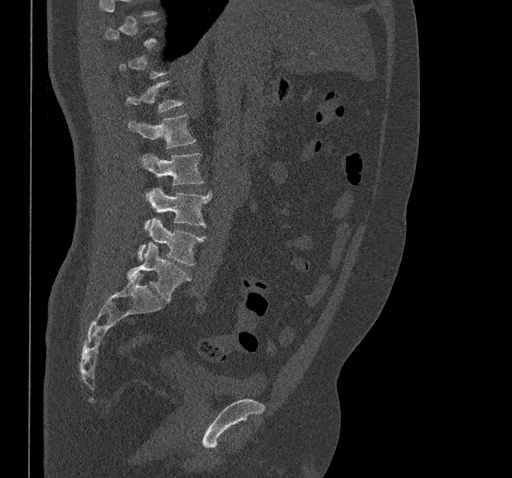

Spine CT · sagittal view · 461 mm image width · 512x478 px
Each vertebra maps to its box as [x1, y1, x2, y2], the pixel coordinates of its top-left and bottom-right corners.
Not every vertebra on this slice has a box: a vertebra is boxed only from the first to the last slice where its cross-section is at least a third of its largest, and this slice is outside that range for at least one of them.
{"vertebrae":{"L1":[128,114,195,148],"L2":[140,152,204,185],"L3":[144,188,211,229],"L4":[138,218,205,265],"L5":[128,242,191,301]}}